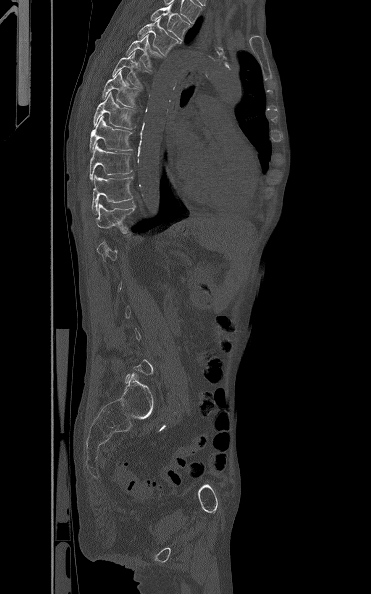 CT, spine. sagittal view. bone window
Boxes: x1 y1 x2 y2 (pixel coords, space-separated).
A vertebra gets a box only on the slices from the first to the last where its cross-section is at least a third of its largest; on a slice outside that range it gets none.
Vertebra bounding boxes:
- T3: 150 5 190 40
- T4: 137 18 182 55
- T5: 125 34 163 68
- T6: 111 51 148 87
- T7: 101 70 141 107
- T8: 93 92 135 129
- T9: 89 116 132 151
- T10: 89 142 132 179
- T11: 92 174 132 214
- T12: 95 203 136 234